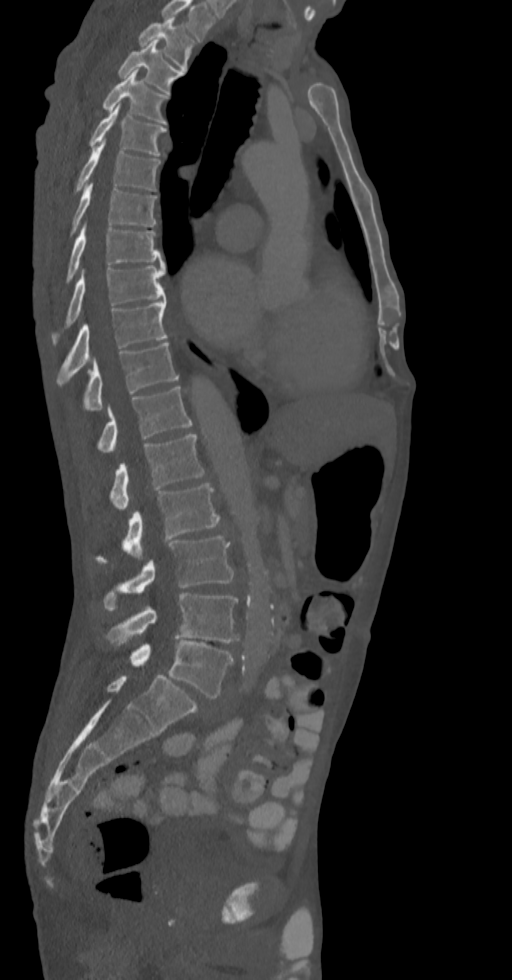

CT, spine; the image spans 336 mm across; sagittal view
Boxes are (x1, y1, x2, y2) in pixels.
Labels in this scan begin with T2 at the top and end with L5 at the bottom.
Vertebra bounding boxes:
- T2: (138, 18, 195, 69)
- T3: (117, 40, 183, 93)
- T4: (102, 70, 169, 124)
- T5: (88, 105, 166, 156)
- T6: (73, 142, 160, 194)
- T7: (58, 183, 157, 243)
- T8: (65, 226, 163, 284)
- T9: (52, 267, 165, 343)
- T10: (58, 299, 168, 383)
- T11: (84, 343, 179, 409)
- T12: (97, 386, 192, 453)
- L1: (111, 434, 204, 511)
- L2: (97, 483, 220, 563)
- L3: (103, 536, 233, 610)
- L4: (106, 593, 239, 642)
- L5: (131, 640, 233, 698)